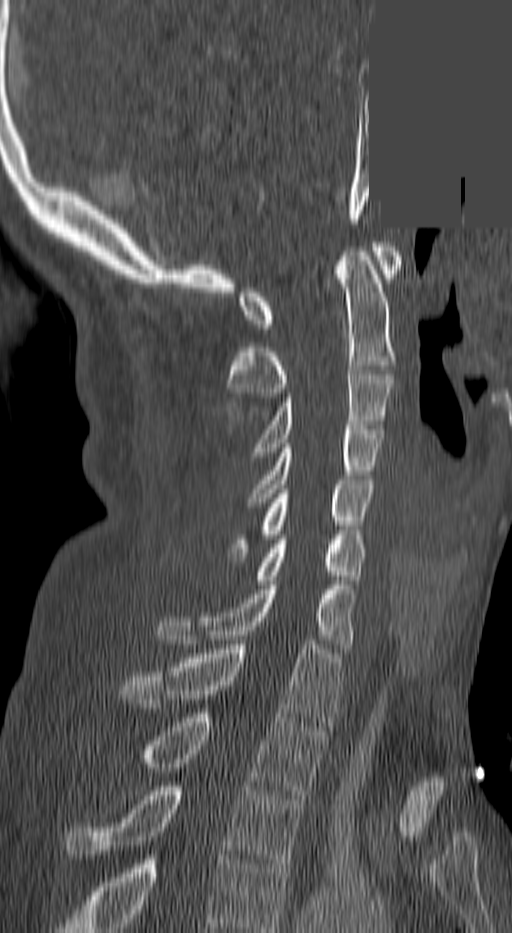

Spine computed tomography · the image is 140 mm wide · sagittal view · a uniform gray block covers part of the image
Boxes are (x1, y1, x2, y2) in pixels.
Labels in this scan begin with C1 at the top and end with T3 at the bottom.
Vertebra bounding boxes:
- T3: (67, 786, 304, 868)
- T2: (140, 713, 323, 794)
- T1: (122, 640, 340, 726)
- C7: (159, 585, 355, 648)
- C6: (254, 539, 366, 584)
- C5: (231, 480, 373, 557)
- C4: (249, 425, 384, 502)
- C3: (257, 370, 392, 452)
- C2: (228, 247, 395, 397)
- C1: (239, 242, 399, 328)